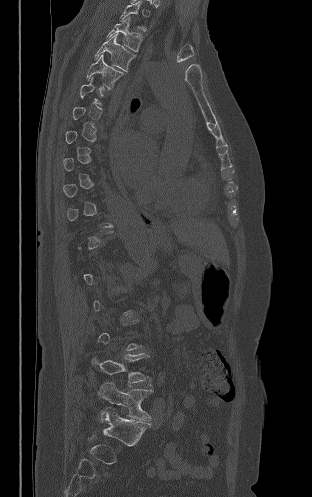
CT · sagittal view

A vertebra gets a box only on the slices from the first to the last where its cross-section is at least a third of its largest; on a slice outside that range it gets none.
<vertebrae><v name="T3" x1="107" y1="16" x2="142" y2="51"/><v name="T4" x1="95" y1="34" x2="135" y2="71"/><v name="T5" x1="87" y1="54" x2="123" y2="88"/><v name="L4" x1="91" y1="353" x2="147" y2="382"/><v name="L5" x1="99" y1="382" x2="152" y2="421"/></vertebrae>